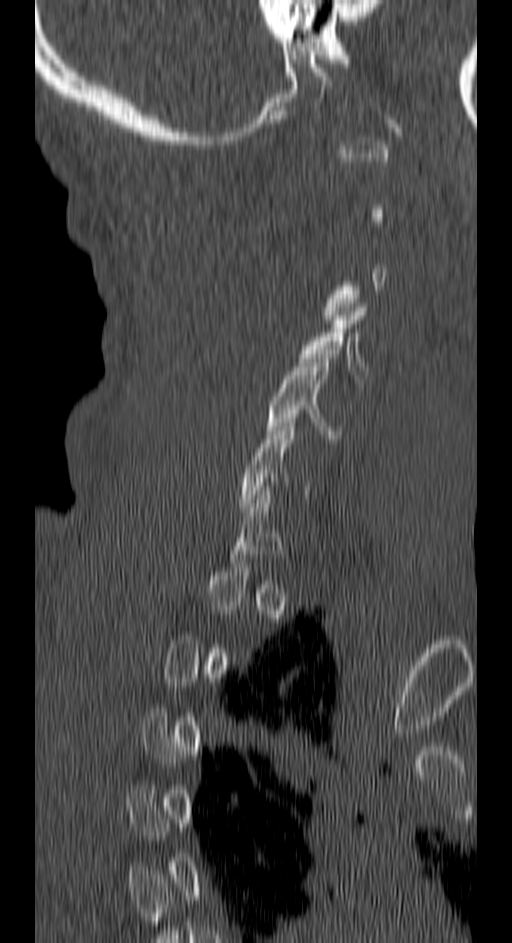
Spine computed tomography · image width 150 mm · sagittal view · bone window. Box edges are left/top/right/bottom in pixels. A vertebra is boxed only from the first to the last slice where its cross-section is at least a third of its largest; slices outside that range leave it without a box. 2 vertebrae labeled — C5 at left=267, top=354, right=339, bottom=438; C4 at left=298, top=303, right=368, bottom=379.